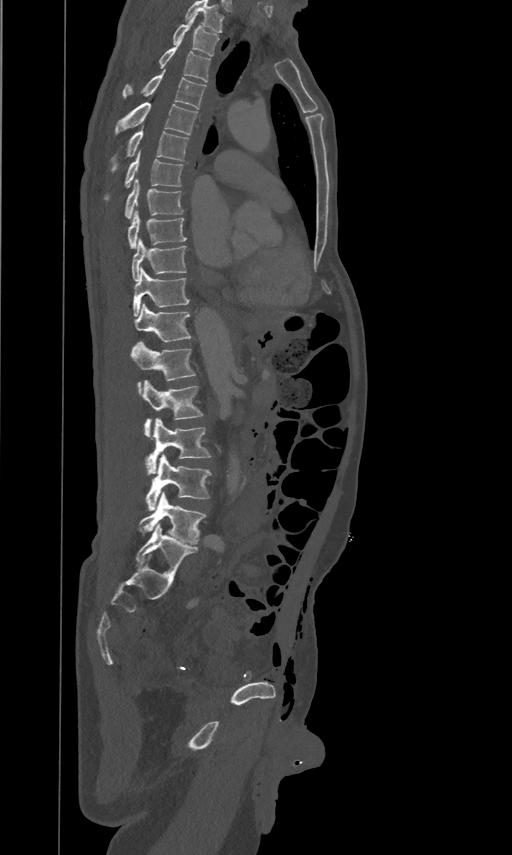
Spine computed tomography — sagittal view

Columns x1, y1, x2, y2 give each box's top-left and bottom-right pixels.
This scan's labels start at T2 at the top and end at L5 at the bottom.
| vertebra | x1 | y1 | x2 | y2 |
|---|---|---|---|---|
| T2 | 173 | 13 | 218 | 56 |
| T3 | 159 | 40 | 210 | 82 |
| T4 | 122 | 70 | 205 | 109 |
| T5 | 115 | 101 | 197 | 135 |
| T6 | 111 | 127 | 188 | 171 |
| T7 | 105 | 151 | 182 | 199 |
| T8 | 124 | 178 | 182 | 218 |
| T9 | 128 | 210 | 186 | 246 |
| T10 | 131 | 237 | 186 | 280 |
| T11 | 133 | 266 | 189 | 316 |
| T12 | 133 | 303 | 191 | 341 |
| L1 | 131 | 341 | 195 | 393 |
| L2 | 142 | 379 | 203 | 437 |
| L3 | 145 | 417 | 210 | 474 |
| L4 | 145 | 454 | 211 | 511 |
| L5 | 139 | 492 | 205 | 544 |